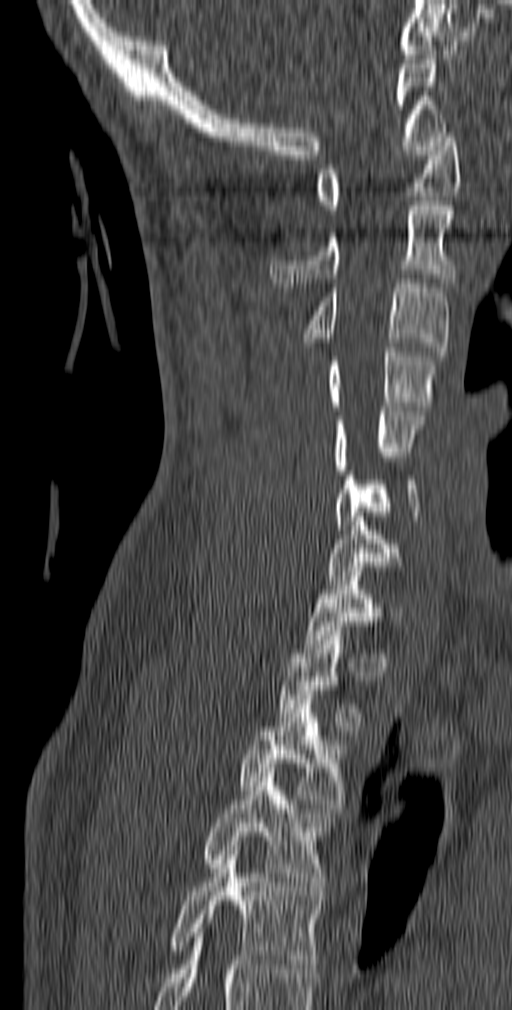 CT; sagittal view; the image spans 140 mm across; Bone window (WL 400, WW 1800). Bounding boxes as [x1, y1, x2, y2] in pixel coordinates.
A vertebra is boxed only from the first to the last slice where its cross-section is at least a third of its largest; slices outside that range leave it without a box.
Vertebra bounding boxes:
- C1: [316, 128, 461, 214]
- C2: [270, 201, 456, 287]
- C3: [303, 279, 450, 356]
- C4: [327, 347, 436, 410]
- C5: [333, 407, 425, 474]
- C6: [334, 466, 419, 529]
- C7: [326, 512, 403, 584]
- T2: [278, 631, 365, 730]
- T3: [239, 695, 345, 808]
- T4: [202, 773, 334, 890]
- T5: [170, 850, 323, 973]